CT spine · sagittal plane, index 166 · bone window · 12 vertebrae labeled in this scan · 340 mm across the image
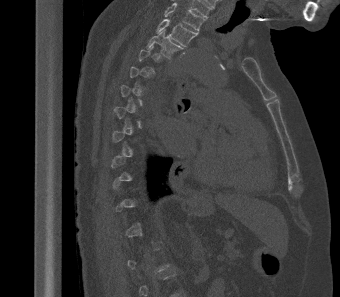

Bounding boxes as [x1, y1, x2, y2] in pixel coordinates.
A vertebra gets a box only on the slices from the first to the last where its cross-section is at least a third of its largest; on a slice outside that range it gets none.
This scan's labels start at T2 at the top and end at L1 at the bottom.
T3: [146, 29, 183, 58]
T2: [156, 19, 198, 46]